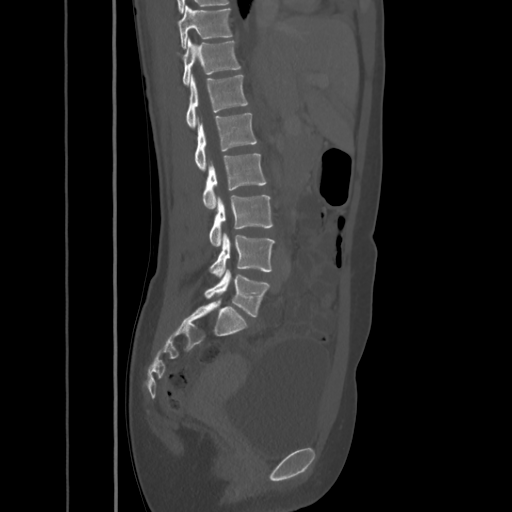

CT, spine — 425 mm across the image — sagittal view
Boxes are (x1, y1, x2, y2) in pixels. 8 vertebrae labeled — L5 at (205, 269, 269, 316); L4 at (210, 231, 275, 277); L3 at (209, 195, 273, 246); L2 at (202, 153, 265, 209); L1 at (195, 112, 257, 170); T12 at (186, 75, 247, 128); T11 at (182, 39, 240, 85); T10 at (177, 5, 232, 47).